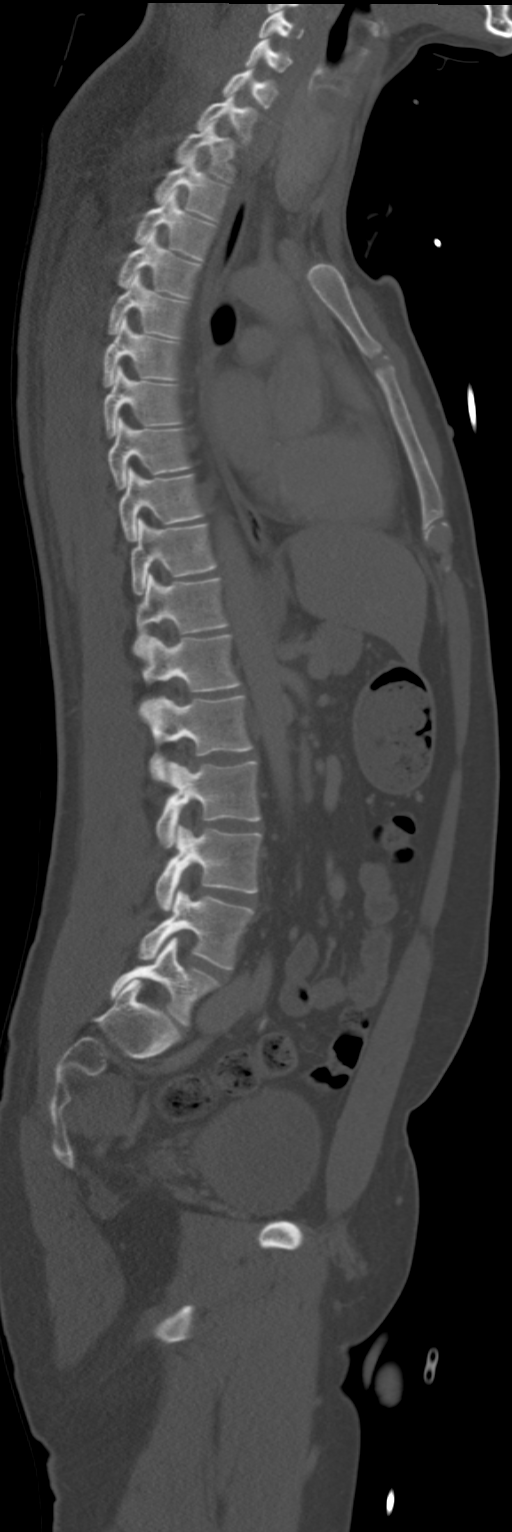
Spine computed tomography; sagittal view
<vertebrae><v name="C4" x1="258" y1="10" x2="303" y2="38"/><v name="C5" x1="245" y1="39" x2="292" y2="72"/><v name="C6" x1="222" y1="67" x2="276" y2="108"/><v name="C7" x1="195" y1="94" x2="257" y2="145"/><v name="T1" x1="176" y1="120" x2="235" y2="181"/><v name="T2" x1="155" y1="157" x2="229" y2="221"/><v name="T3" x1="134" y1="190" x2="215" y2="259"/><v name="T4" x1="118" y1="230" x2="200" y2="297"/><v name="T5" x1="107" y1="271" x2="189" y2="338"/><v name="T6" x1="104" y1="316" x2="179" y2="387"/><v name="T7" x1="104" y1="366" x2="181" y2="438"/><v name="T8" x1="107" y1="417" x2="191" y2="488"/><v name="T9" x1="119" y1="468" x2="202" y2="541"/><v name="T10" x1="130" y1="518" x2="215" y2="594"/><v name="T11" x1="132" y1="574" x2="227" y2="657"/><v name="T12" x1="143" y1="635" x2="240" y2="691"/><v name="L1" x1="142" y1="696" x2="252" y2="781"/><v name="L2" x1="155" y1="761" x2="259" y2="848"/><v name="L3" x1="155" y1="825" x2="261" y2="911"/><v name="L4" x1="139" y1="889" x2="254" y2="970"/><v name="L5" x1="110" y1="936" x2="219" y2="1025"/></vertebrae>